Computed tomography of the spine — Sagittal slice 256/512 — 536x664 px
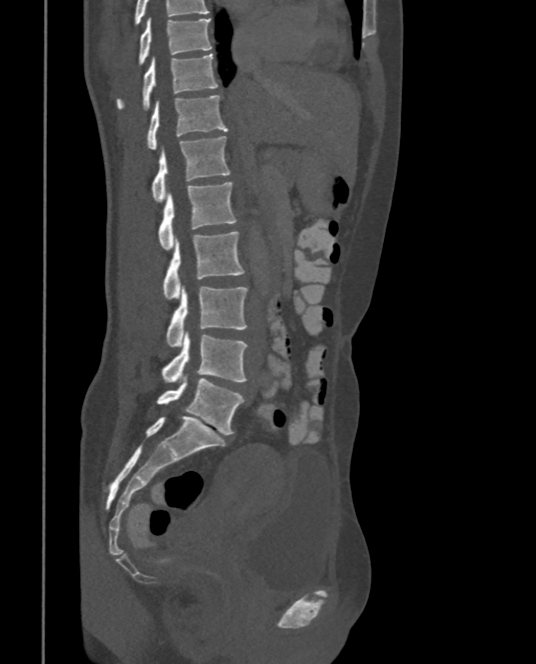

Each row gives a vertebra's box as x1, y1, x2, y2 in pixels: top-left corner, then bottom-right corner.
Labels in this scan begin with T9 at the top and end with L5 at the bottom.
| vertebra | x1 | y1 | x2 | y2 |
|---|---|---|---|---|
| T9 | 137 | 18 | 211 | 66 |
| T10 | 115 | 53 | 218 | 110 |
| T11 | 145 | 96 | 227 | 149 |
| T12 | 152 | 136 | 230 | 200 |
| L1 | 158 | 181 | 238 | 249 |
| L2 | 162 | 231 | 245 | 299 |
| L3 | 165 | 286 | 249 | 346 |
| L4 | 161 | 333 | 247 | 382 |
| L5 | 156 | 378 | 243 | 435 |